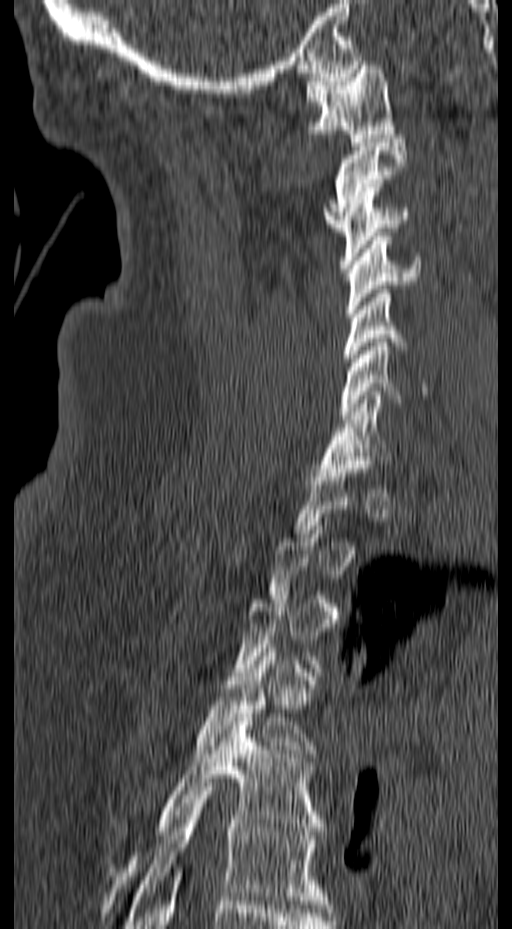
CT · image 157 mm wide · sagittal reformat · W/L 1800/400 HU
Each box given as x1,y1,x2,y2.
Each vertebra is boxed only on the slices from the first to the last where its cross-section reaches a third of its largest, so a slice outside that range leaves it unboxed.
T6: x1=123, y1=787, x2=330, y2=928
T5: x1=105, y1=713, x2=324, y2=904
T4: x1=192, y1=648, x2=317, y2=757
C7: x1=318, y1=391, x2=391, y2=476
C6: x1=340, y1=338, x2=428, y2=419
C5: x1=343, y1=285, x2=406, y2=370
C4: x1=345, y1=232, x2=421, y2=317
C3: x1=339, y1=183, x2=409, y2=268
C2: x1=324, y1=139, x2=408, y2=231
C1: x1=305, y1=65, x2=396, y2=142